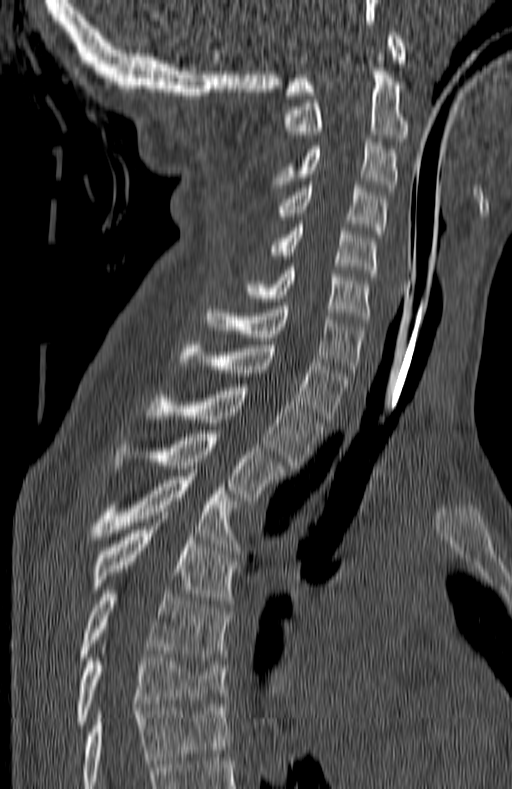

CT spine · sagittal view
Boxes are given in columns x1, y1, x2, y2, the pixel coordinates of their top-left and bottom-right corners.
The highest labeled vertebra in this scan is C1; the lowest is T7.
| vertebra | x1 | y1 | x2 | y2 |
|---|---|---|---|---|
| C1 | 285 | 32 | 405 | 95 |
| C2 | 285 | 53 | 407 | 141 |
| C3 | 273 | 139 | 398 | 191 |
| C4 | 271 | 185 | 387 | 234 |
| C5 | 267 | 224 | 375 | 276 |
| C6 | 246 | 267 | 370 | 323 |
| C7 | 206 | 306 | 364 | 372 |
| T1 | 180 | 341 | 350 | 422 |
| T2 | 146 | 384 | 321 | 468 |
| T3 | 112 | 430 | 284 | 500 |
| T4 | 89 | 476 | 239 | 547 |
| T5 | 92 | 526 | 236 | 603 |
| T6 | 81 | 590 | 227 | 660 |
| T7 | 78 | 654 | 227 | 724 |